Spine computed tomography — Sagittal slice 279/512 — the image spans 461 mm across — bone-window reconstruction — scan covers 17 annotated vertebrae
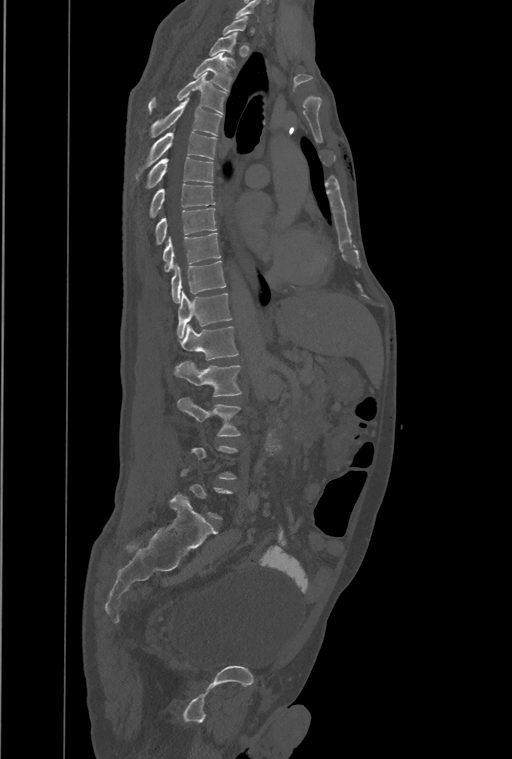

In the table, x1 and y1 are a box's top-left corner and x2 and y2 its bottom-right corner, in pixels.
Each vertebra is boxed only on the slices from the first to the last where its cross-section reaches a third of its largest, so a slice outside that range leaves it unboxed.
In these labels the spine has a T13, a thirteenth thoracic vertebra, between T12 and L1.
| vertebra | x1 | y1 | x2 | y2 |
|---|---|---|---|---|
| T2 | 209 | 32 | 236 | 67 |
| T3 | 193 | 52 | 231 | 90 |
| T4 | 148 | 72 | 226 | 113 |
| T5 | 150 | 97 | 221 | 137 |
| T6 | 136 | 131 | 216 | 179 |
| T7 | 145 | 157 | 213 | 189 |
| T8 | 150 | 184 | 215 | 217 |
| T9 | 155 | 208 | 216 | 245 |
| T10 | 163 | 232 | 221 | 271 |
| T11 | 171 | 260 | 226 | 303 |
| T12 | 177 | 291 | 232 | 338 |
| T13 | 181 | 325 | 238 | 360 |
| L1 | 175 | 361 | 242 | 396 |
| L2 | 177 | 397 | 241 | 436 |